CT; sagittal reformat; bone window
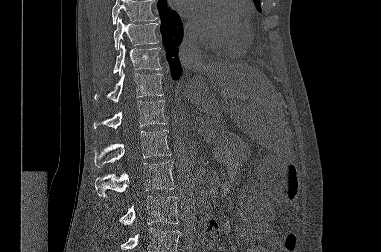
Each vertebra maps to its box as [x1, y1, x2, y2], the pixel coordinates of its top-left and bottom-right corners.
Vertebrae that run past the top or bottom of the scan are left unlabeled.
{"vertebrae":{"T9":[113,17,158,49],"T10":[113,42,162,73],"T11":[94,70,163,102],"T12":[93,100,166,128],"L1":[94,130,171,167],"L2":[95,161,175,197],"L3":[119,196,178,225]}}